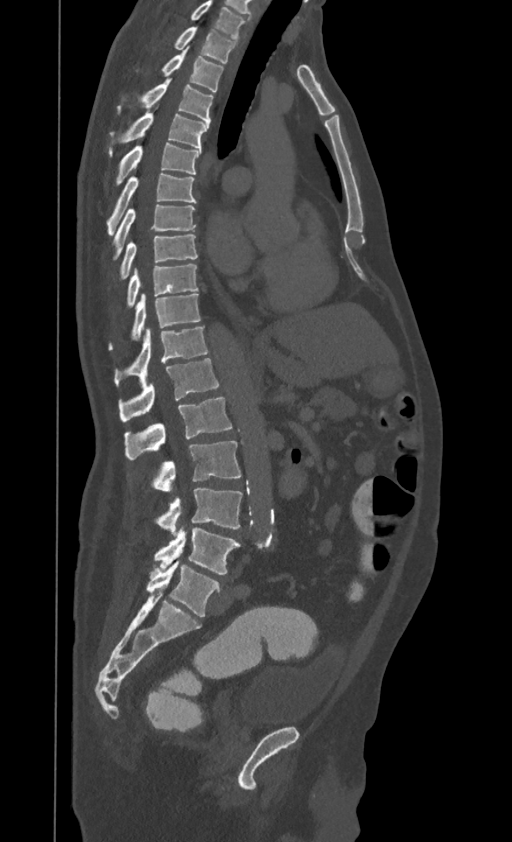

Spine computed tomography — sagittal reformat — Bone window (WL 400, WW 1800)

Each box given as x1,y1,x2,y2.
This scan's labels start at T1 at the top and end at L4 at the bottom.
T1: x1=174, y1=27, x2=236, y2=63
T2: x1=162, y1=47, x2=223, y2=92
T3: x1=118, y1=78, x2=213, y2=124
T4: x1=110, y1=111, x2=209, y2=154
T5: x1=117, y1=142, x2=201, y2=184
T6: x1=107, y1=173, x2=196, y2=235
T7: x1=114, y1=204, x2=195, y2=259
T8: x1=120, y1=234, x2=197, y2=279
T9: x1=127, y1=265, x2=197, y2=306
T10: x1=109, y1=293, x2=200, y2=349
T11: x1=114, y1=327, x2=208, y2=385
T12: x1=119, y1=358, x2=218, y2=421
L1: x1=124, y1=397, x2=232, y2=459
L2: x1=153, y1=441, x2=241, y2=491
L3: x1=155, y1=488, x2=241, y2=536
L4: x1=154, y1=527, x2=240, y2=574